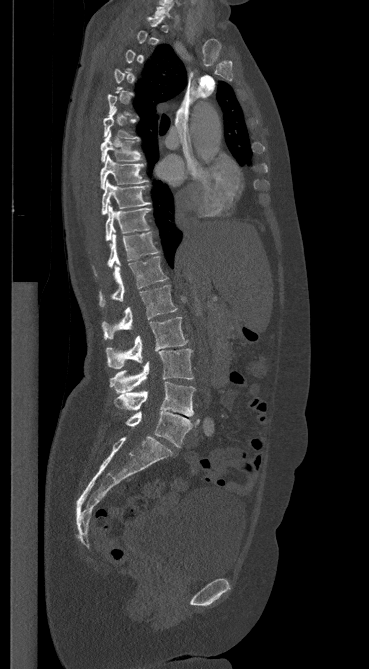
CT; sagittal view; image width 369 mm
Each row gives a vertebra's box as x1, y1, x2, y2 in pixels: top-left corner, then bottom-right corner.
A vertebra gets a box only on the slices from the first to the last where its cross-section is at least a third of its largest; on a slice outside that range it gets none.
| vertebra | x1 | y1 | x2 | y2 |
|---|---|---|---|---|
| C7 | 154 | 1 | 173 | 17 |
| T6 | 103 | 107 | 140 | 140 |
| T7 | 100 | 133 | 140 | 162 |
| T8 | 100 | 155 | 146 | 189 |
| T9 | 101 | 180 | 149 | 214 |
| T10 | 105 | 205 | 151 | 241 |
| T11 | 95 | 230 | 158 | 275 |
| T12 | 99 | 256 | 167 | 307 |
| L1 | 102 | 285 | 177 | 339 |
| L2 | 106 | 317 | 187 | 369 |
| L3 | 110 | 349 | 193 | 393 |
| L4 | 115 | 382 | 195 | 416 |
| L5 | 125 | 411 | 199 | 447 |